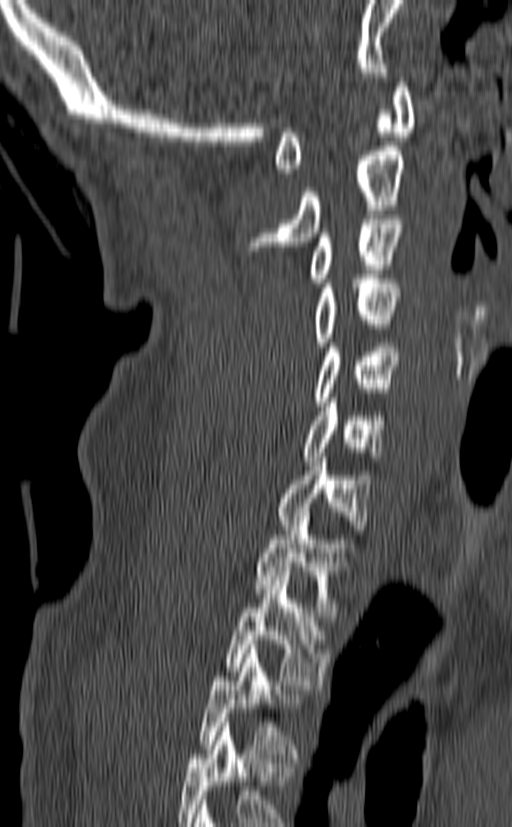
Computed tomography of the spine — sagittal view — 512x827 px — image 140 mm wide

Box values are [left, top, right, bottom] in pixels.
Labels in this scan begin with C1 at the top and end with T3 at the bottom.
{"vertebrae":{"C1":[275,78,416,177],"C2":[241,146,406,250],"C3":[309,219,401,287],"C4":[312,274,400,346],"C5":[313,343,400,406],"C6":[301,398,384,461],"C7":[277,453,371,534],"T1":[256,512,358,616],"T2":[224,571,329,689],"T3":[200,645,302,758]}}